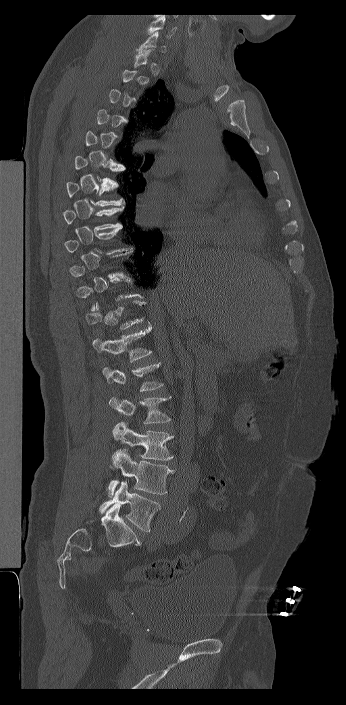 CT spine; sagittal view; Bone window (WL 400, WW 1800); image 346 mm wide; 346x705 px

Each vertebra maps to its box as [x1, y1, x2, y2], the pixel coordinates of its top-left and bottom-right corners.
A vertebra gets a box only on the slices from the first to the last where its cross-section is at least a third of its largest; on a slice outside that range it gets none.
This scan's labels start at C7 at the top and end at L6 at the bottom.
These labels give the spine a sixth lumbar vertebra, L6, below L5.
{"vertebrae":{"C7":[136,31,166,52],"T7":[66,182,124,206],"T8":[62,207,123,231],"T9":[64,229,132,254],"T12":[85,300,149,329],"L1":[92,324,152,362],"L2":[102,362,163,391],"L3":[109,396,171,424],"L4":[109,422,174,470],"L5":[106,449,174,497],"L6":[99,481,160,531]}}